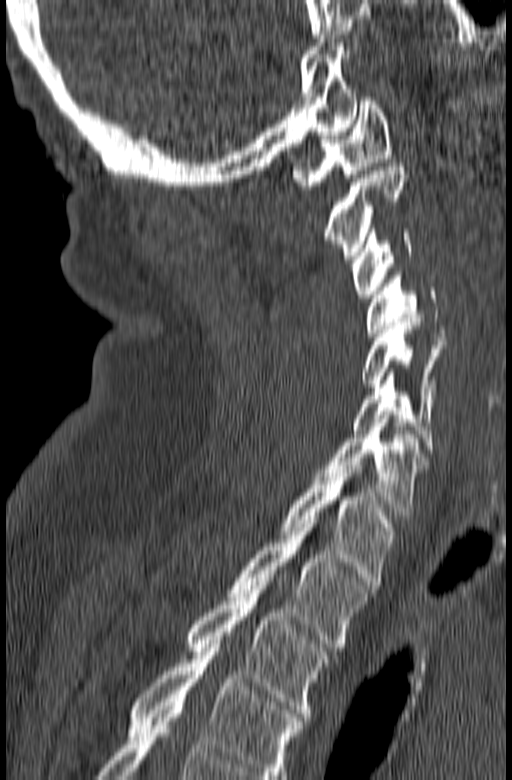
CT spine · sagittal reformat · Bone window (WL 400, WW 1800)
Each row gives a vertebra's box as x1, y1, x2, y2 in pixels: top-left corner, then bottom-right corner.
In this scan, the topmost labeled vertebra is C1 and the lowest is T3.
| vertebra | x1 | y1 | x2 | y2 |
|---|---|---|---|---|
| T3 | 187 | 582 | 329 | 717 |
| T2 | 228 | 520 | 370 | 647 |
| T1 | 280 | 465 | 395 | 585 |
| C7 | 314 | 419 | 425 | 515 |
| C6 | 352 | 372 | 434 | 449 |
| C5 | 361 | 318 | 441 | 391 |
| C4 | 367 | 275 | 445 | 336 |
| C3 | 352 | 225 | 412 | 298 |
| C2 | 324 | 163 | 407 | 259 |
| C1 | 291 | 97 | 391 | 189 |